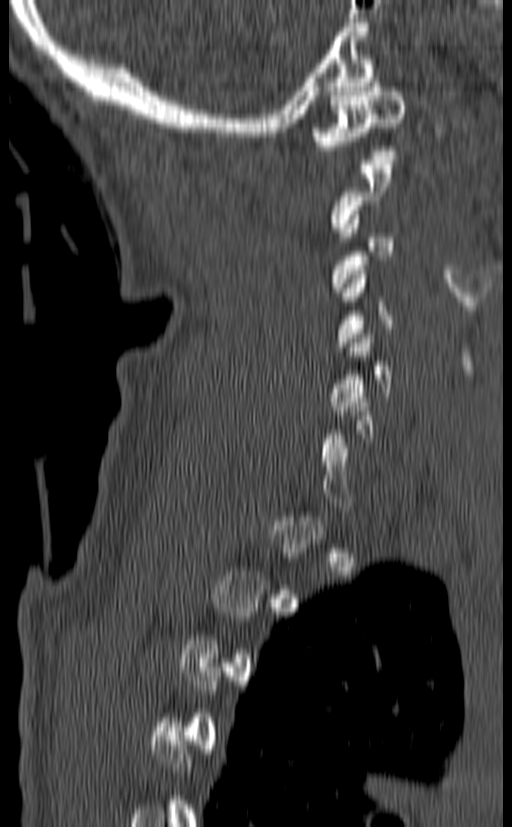

CT · sagittal view · Bone window (WL 400, WW 1800) · the image is 140 mm wide · 512x827 px
Boxes are (x1, y1, x2, y2) in pixels.
A vertebra gets a box only on the slices from the first to the last where its cross-section is at least a third of its largest; on a slice outside that range it gets none.
C5: (330, 329, 392, 415)
C1: (310, 78, 406, 159)